Computed tomography of the spine; Sagittal slice 225/512; 613x1182 px
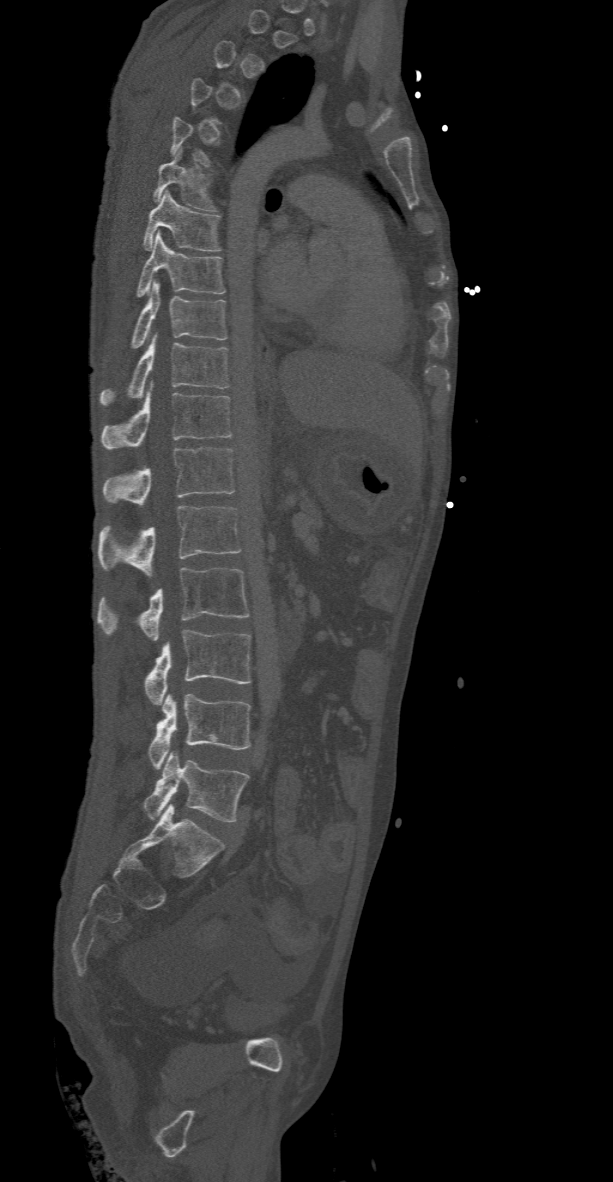

A vertebra is boxed only from the first to the last slice where its cross-section is at least a third of its largest; slices outside that range leave it without a box.
<vertebrae><v name="T6" x1="153" y1="147" x2="217" y2="211"/><v name="T7" x1="143" y1="191" x2="221" y2="251"/><v name="T8" x1="134" y1="231" x2="225" y2="296"/><v name="T9" x1="107" y1="281" x2="227" y2="361"/><v name="T10" x1="99" y1="336" x2="229" y2="405"/><v name="T11" x1="99" y1="391" x2="233" y2="448"/><v name="T12" x1="103" y1="447" x2="235" y2="506"/><v name="L1" x1="98" y1="506" x2="241" y2="576"/><v name="L2" x1="96" y1="567" x2="248" y2="640"/><v name="L3" x1="143" y1="631" x2="251" y2="705"/><v name="L4" x1="149" y1="694" x2="251" y2="768"/><v name="L5" x1="143" y1="752" x2="248" y2="821"/></vertebrae>